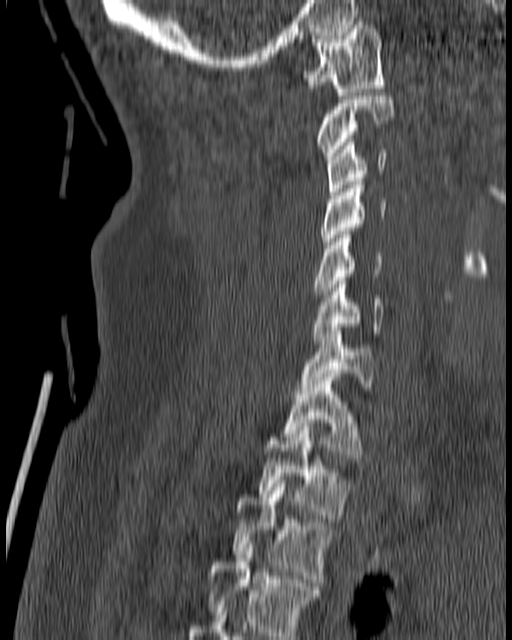

Spine CT · sagittal view
In the table, x1 and y1 are a box's top-left corner and x2 and y2 its bottom-right corner, in pixels.
| vertebra | x1 | y1 | x2 | y2 |
|---|---|---|---|---|
| C1 | 302 | 21 | 384 | 95 |
| C2 | 314 | 92 | 394 | 159 |
| C3 | 327 | 139 | 387 | 195 |
| C4 | 322 | 178 | 387 | 248 |
| C5 | 313 | 235 | 381 | 294 |
| C6 | 311 | 277 | 384 | 344 |
| C7 | 300 | 331 | 375 | 394 |
| T1 | 280 | 377 | 361 | 461 |
| T2 | 257 | 423 | 350 | 518 |
| T3 | 231 | 480 | 336 | 586 |
| T4 | 204 | 544 | 318 | 639 |